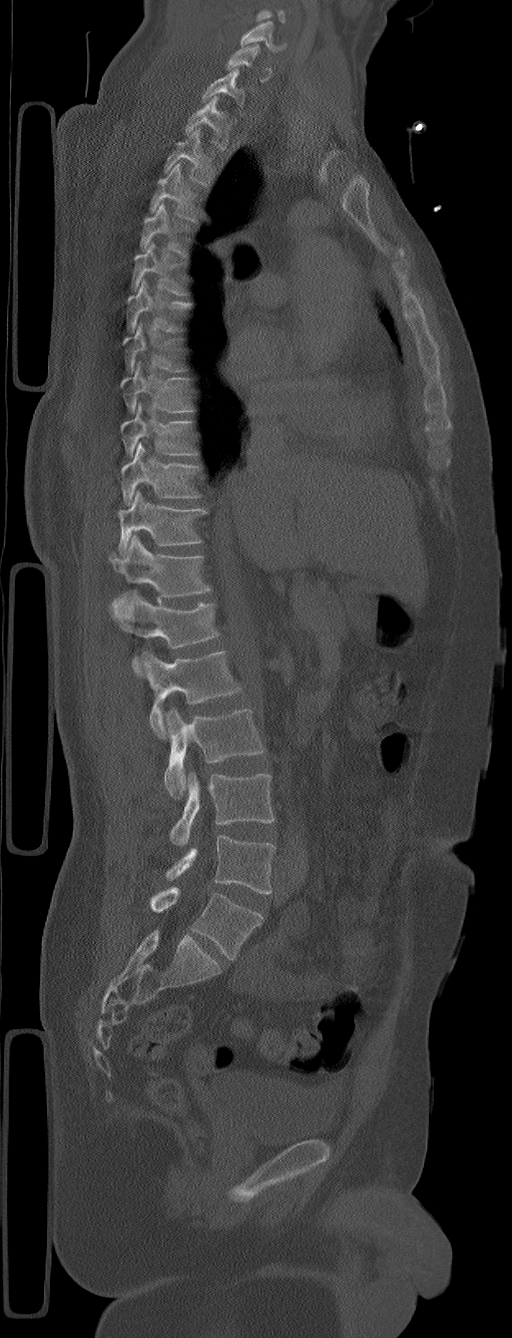
Spine computed tomography · sagittal view · Bone window (WL 400, WW 1800) · 512x1338 px. Box edges are left/top/right/bottom in pixels.
The highest labeled vertebra in this scan is C5; the lowest is L6.
The labels name a sixth lumbar vertebra for this spine: L6, after L5.
C5: left=239, top=20, right=287, bottom=51
C6: left=225, top=44, right=271, bottom=82
C7: left=202, top=68, right=244, bottom=107
T1: left=185, top=96, right=233, bottom=150
T2: left=164, top=128, right=214, bottom=186
T3: left=149, top=163, right=199, bottom=221
T4: left=139, top=202, right=191, bottom=256
T5: left=131, top=242, right=186, bottom=295
T6: left=126, top=279, right=191, bottom=332
T7: left=123, top=323, right=184, bottom=373
T8: left=120, top=361, right=194, bottom=412
T9: left=121, top=402, right=197, bottom=457
T10: left=121, top=442, right=201, bottom=505
T11: left=118, top=491, right=207, bottom=554
T12: left=109, top=536, right=211, bottom=597
L1: left=109, top=591, right=219, bottom=672
L2: left=142, top=650, right=241, bottom=738
L3: left=163, top=707, right=265, bottom=798
L4: left=170, top=773, right=275, bottom=845
L5: left=165, top=835, right=275, bottom=894
L6: left=150, top=887, right=263, bottom=960